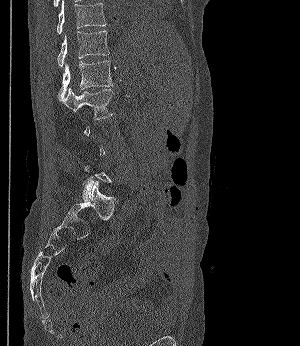
CT — image width 300 mm — sagittal view
Each vertebra maps to its box as [x1, y1, x2, y2], the pixel coordinates of its top-left and bottom-right corners.
A vertebra is boxed only from the first to the last slice where its cross-section is at least a third of its largest; slices outside that range leave it without a box.
{"vertebrae":{"L2":[63,88,112,119],"L1":[58,60,112,100],"T12":[57,30,109,67],"T11":[57,0,105,34]}}